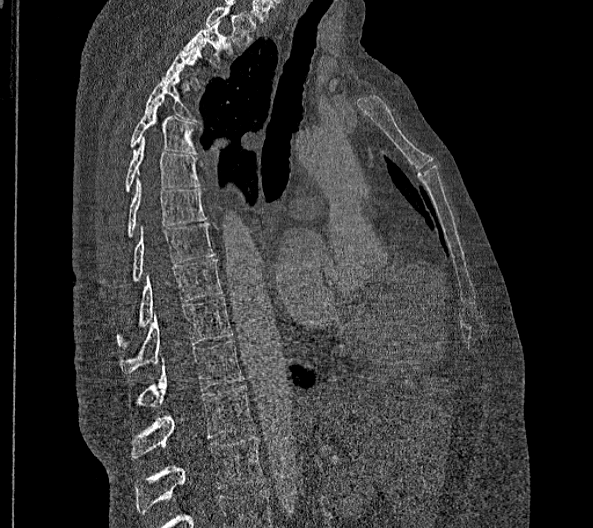

CT, spine; sagittal view; W/L 1800/400 HU
The highest labeled vertebra in this scan is T2; the lowest is L2.
In these labels the thoracic vertebrae end at T11, so L1 follows T11.
<vertebrae><v name="T2" x1="183" y1="21" x2="233" y2="64"/><v name="T3" x1="163" y1="43" x2="205" y2="87"/><v name="T4" x1="145" y1="72" x2="201" y2="123"/><v name="T5" x1="130" y1="97" x2="197" y2="154"/><v name="T6" x1="125" y1="137" x2="198" y2="192"/><v name="T7" x1="126" y1="177" x2="205" y2="237"/><v name="T8" x1="131" y1="223" x2="216" y2="282"/><v name="T9" x1="116" y1="259" x2="221" y2="348"/><v name="T10" x1="119" y1="297" x2="232" y2="372"/><v name="T11" x1="137" y1="340" x2="244" y2="406"/><v name="L1" x1="131" y1="385" x2="255" y2="459"/><v name="L2" x1="134" y1="437" x2="266" y2="514"/></vertebrae>